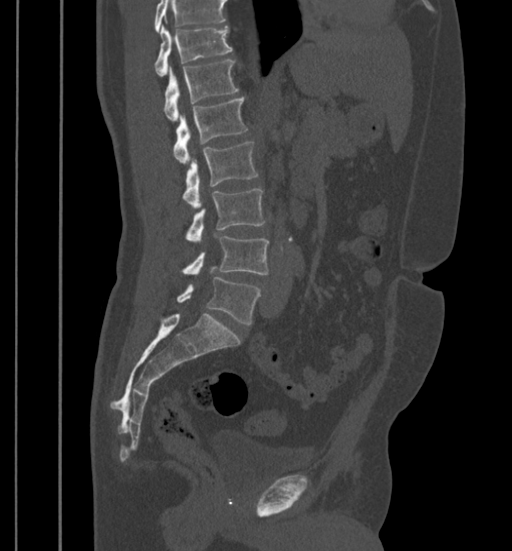
Computed tomography of the spine. sagittal reformat

A vertebra cut off by the top edge of the scan is not labeled and has no box.
<vertebrae><v name="L5" x1="177" y1="277" x2="261" y2="324"/><v name="L4" x1="182" y1="236" x2="268" y2="274"/><v name="L3" x1="186" y1="188" x2="264" y2="241"/><v name="L2" x1="182" y1="141" x2="258" y2="209"/><v name="L1" x1="173" y1="98" x2="248" y2="163"/><v name="T12" x1="164" y1="59" x2="239" y2="120"/><v name="T11" x1="155" y1="26" x2="232" y2="76"/></vertebrae>